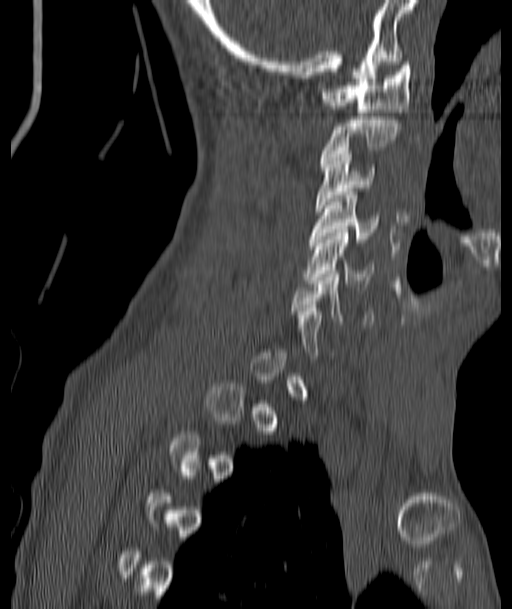

CT spine; sagittal view; bone-window reconstruction; 512x609 px
Each vertebra is boxed only on the slices from the first to the last where its cross-section reaches a third of its largest, so a slice outside that range leaves it unboxed.
<vertebrae><v name="C1" x1="324" y1="62" x2="411" y2="115"/><v name="C2" x1="321" y1="116" x2="400" y2="163"/><v name="C3" x1="316" y1="147" x2="375" y2="211"/><v name="C4" x1="310" y1="192" x2="378" y2="242"/><v name="C5" x1="305" y1="229" x2="375" y2="286"/></vertebrae>